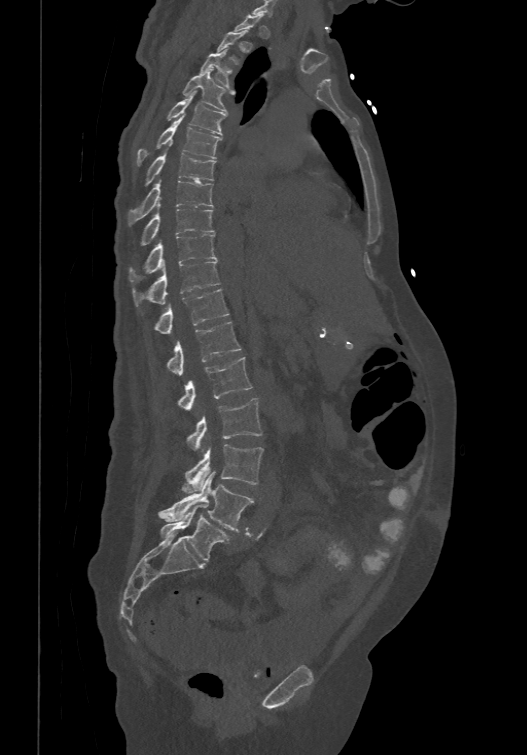 Spine computed tomography; sagittal reformat; bone window
A vertebra gets a box only on the slices from the first to the last where its cross-section is at least a third of its largest; on a slice outside that range it gets none.
These labels give the spine a sixth lumbar vertebra, L6, below L5.
<vertebrae><v name="L6" x1="159" y1="504" x2="230" y2="561"/><v name="L5" x1="158" y1="472" x2="253" y2="531"/><v name="L4" x1="182" y1="444" x2="263" y2="493"/><v name="L3" x1="188" y1="398" x2="261" y2="451"/><v name="L2" x1="178" y1="356" x2="252" y2="411"/><v name="L1" x1="167" y1="321" x2="241" y2="374"/><v name="T12" x1="154" y1="287" x2="229" y2="332"/><v name="T11" x1="132" y1="260" x2="220" y2="305"/><v name="T10" x1="129" y1="233" x2="217" y2="282"/><v name="T9" x1="141" y1="202" x2="213" y2="244"/><v name="T8" x1="128" y1="176" x2="213" y2="224"/><v name="T7" x1="145" y1="151" x2="216" y2="184"/><v name="T6" x1="136" y1="114" x2="221" y2="164"/><v name="T5" x1="167" y1="90" x2="226" y2="134"/><v name="T4" x1="182" y1="68" x2="234" y2="112"/><v name="T3" x1="200" y1="48" x2="229" y2="86"/></vertebrae>